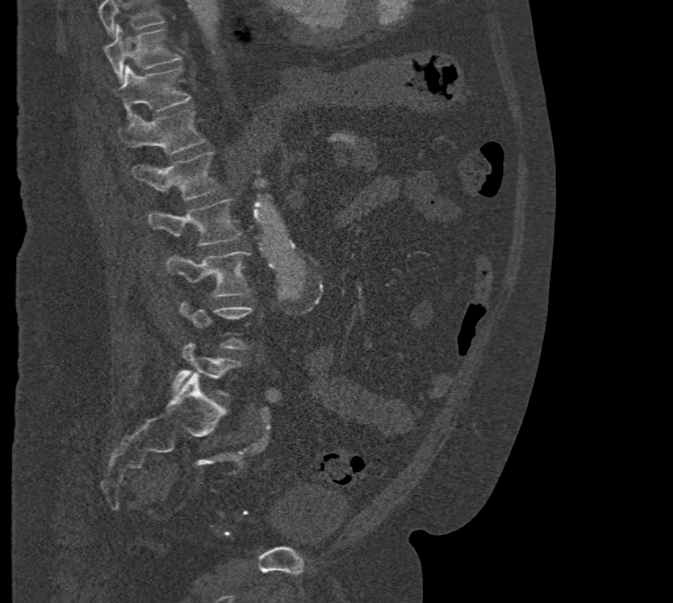 CT, spine · image 471 mm wide · sagittal reformat

Bounding boxes as [x1, y1, x2, y2] in pixel coordinates.
Vertebrae that run past the top of the scan are left unlabeled.
Vertebra bounding boxes:
- T10: [104, 25, 182, 83]
- T11: [117, 65, 191, 119]
- T12: [117, 109, 207, 154]
- L1: [131, 152, 220, 201]
- L2: [147, 198, 242, 245]
- L3: [166, 252, 250, 297]
- L4: [179, 300, 253, 348]
- L5: [171, 340, 242, 397]